Spine CT. sagittal view. bone-window reconstruction
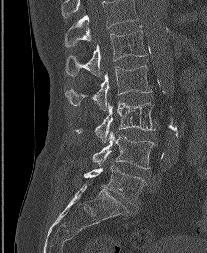 Box values are [left, top, right, bottom] in pixels.
In this scan, the topmost labeled vertebra is L1 and the lowest is L5.
{"vertebrae":{"L5":[84,166,146,203],"L4":[93,131,156,169],"L3":[76,102,155,143],"L2":[66,65,151,110],"L1":[65,26,146,76]}}